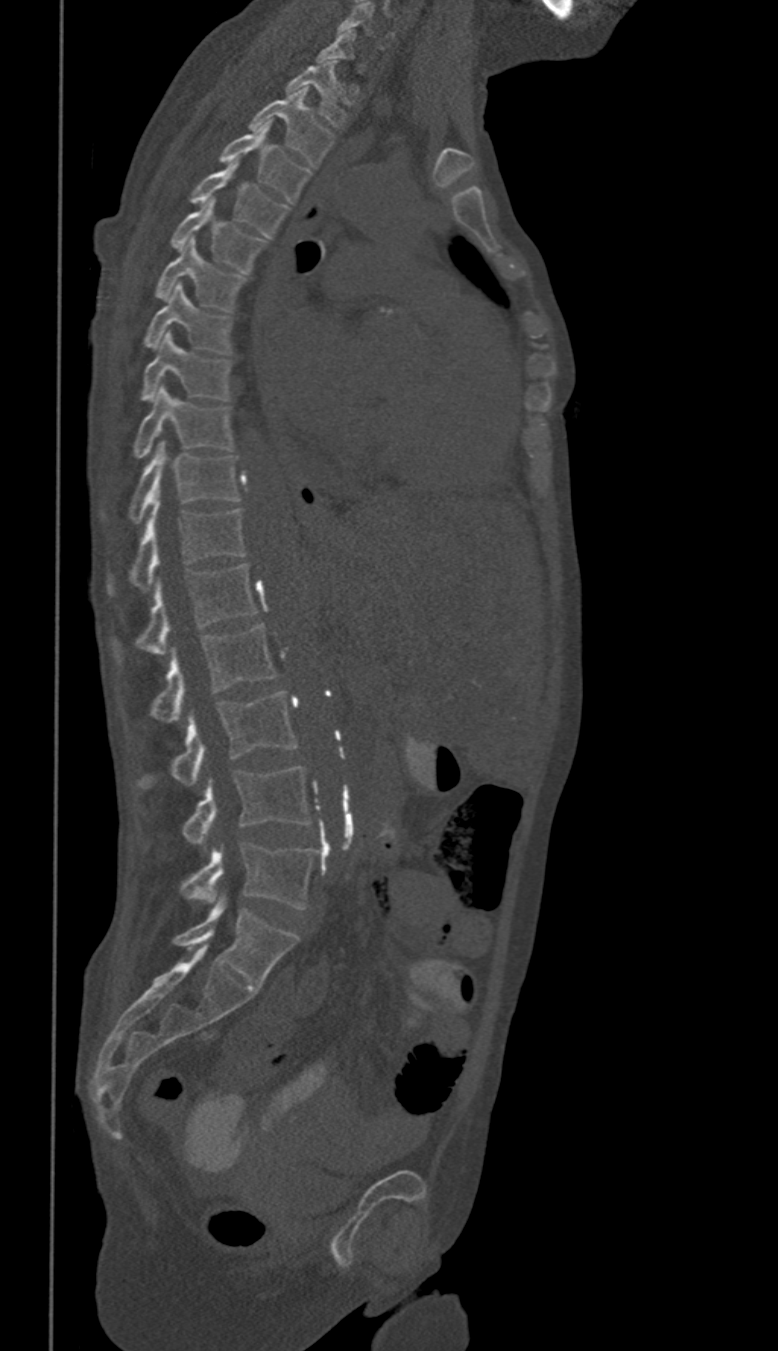 Spine computed tomography — sagittal view — bone-window reconstruction
Coordinates as <box>x1,y1,x2,y2</box>.
Not every vertebra on this slice has a box: a vertebra is boxed only from the first to the last slice where its cross-section is at least a third of its largest, and this slice is outside that range for at least one of them.
In these labels the thoracic vertebrae end at T11, so L1 follows T11.
C6: <box>337,3,392,48</box>
T1: <box>286,63,345,126</box>
T2: <box>249,87,332,166</box>
T3: <box>220,123,310,202</box>
T4: <box>191,160,288,237</box>
T5: <box>170,198,265,273</box>
T6: <box>155,238,245,311</box>
T7: <box>144,285,230,353</box>
T8: <box>141,332,230,399</box>
T9: <box>134,385,231,457</box>
T10: <box>129,440,239,519</box>
T11: <box>106,496,245,593</box>
L1: <box>112,565,256,659</box>
L2: <box>150,625,277,722</box>
L3: <box>140,692,297,786</box>
L4: <box>182,767,310,846</box>
L5: <box>182,843,313,908</box>